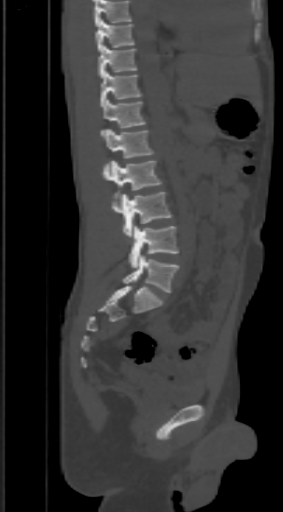
Spine CT — sagittal reformat — 303 mm wide — Bone window (WL 400, WW 1800)
Each box is [x1, y1, x2, y2] in pixels: top-left corner, then bottom-right corner.
No box is given to a vertebra that the top edge of the scan cuts off.
{"vertebrae":{"T9":[95,19,133,52],"T10":[98,45,136,78],"T11":[101,71,142,107],"T12":[101,99,145,135],"L1":[106,128,153,157],"L2":[101,160,161,196],"L3":[112,192,173,237],"L4":[129,226,178,268],"L5":[123,254,178,292]}}